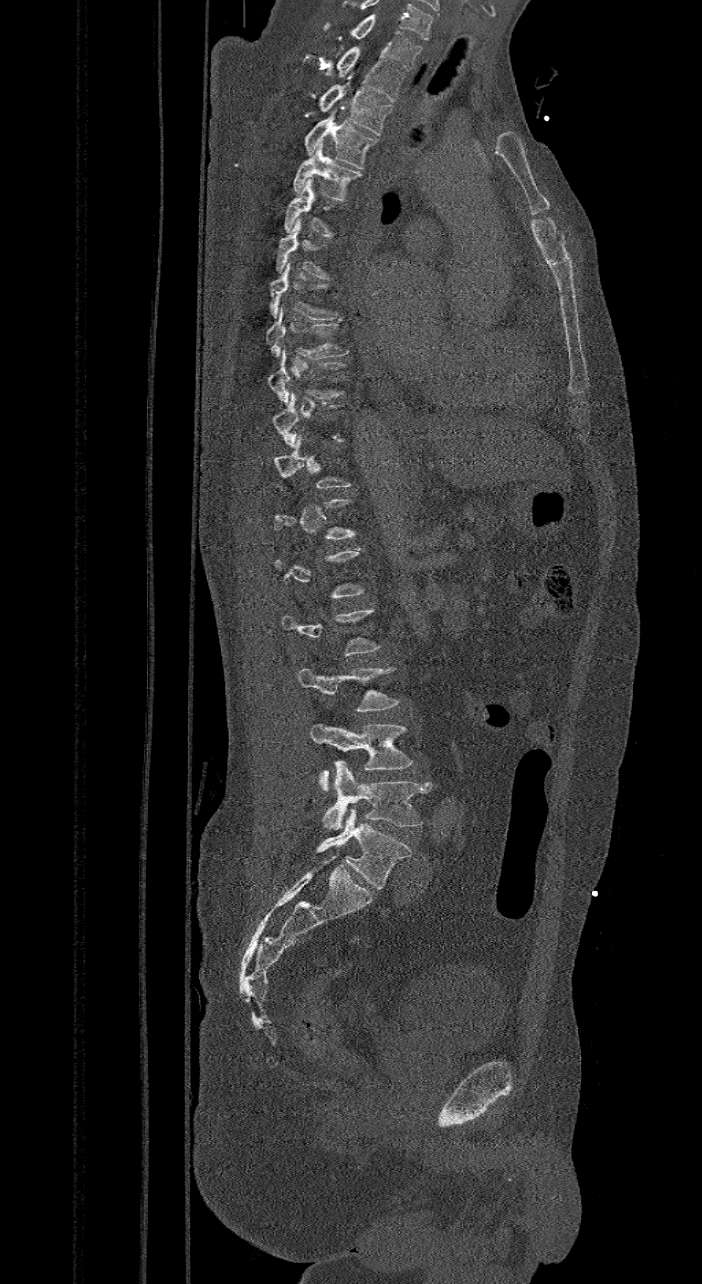
CT, spine. sagittal view. Bone window (WL 400, WW 1800)
Boxes are given in columns x1, y1, x2, y2, the pixel coordinates of their top-left and bottom-right corners.
Not every vertebra on this slice has a box: a vertebra is boxed only from the first to the last slice where its cross-section is at least a third of its largest, and this slice is outside that range for at least one of them.
The labels name a sixth lumbar vertebra for this spine: L6, after L5.
| vertebra | x1 | y1 | x2 | y2 |
|---|---|---|---|---|
| C7 | 322 | 15 | 422 | 69 |
| T1 | 334 | 45 | 403 | 102 |
| T2 | 318 | 82 | 394 | 135 |
| T3 | 303 | 110 | 379 | 169 |
| T4 | 292 | 144 | 362 | 204 |
| T5 | 284 | 179 | 347 | 238 |
| T6 | 275 | 218 | 333 | 279 |
| T7 | 270 | 263 | 343 | 319 |
| T8 | 266 | 303 | 348 | 358 |
| T9 | 266 | 348 | 347 | 402 |
| L3 | 299 | 668 | 401 | 712 |
| L4 | 310 | 723 | 414 | 792 |
| L5 | 322 | 761 | 431 | 830 |
| L6 | 317 | 808 | 412 | 888 |